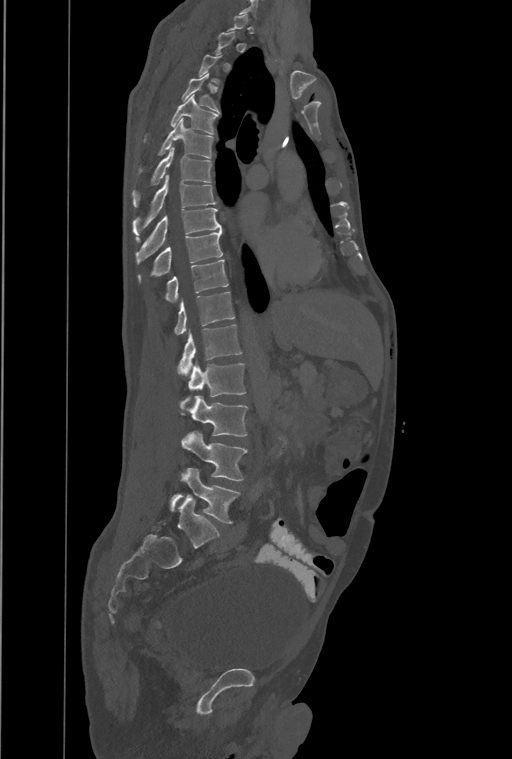
Spine CT; sagittal view; bone window; the image spans 461 mm across; 512x759 px
In the table, x1 and y1 are a box's top-left corner and x2 and y2 its bottom-right corner, in pixels.
Each vertebra is boxed only on the slices from the first to the last where its cross-section reaches a third of its largest, so a slice outside that range leaves it unboxed.
Labels in this scan begin with T1 at the top and end with L4 at the bottom.
These labels give the spine a thirteenth thoracic vertebra: T13 sits between T12 and L1.
| vertebra | x1 | y1 | x2 | y2 |
|---|---|---|---|---|
| L4 | 170 | 468 | 239 | 524 |
| L3 | 182 | 431 | 247 | 480 |
| L2 | 182 | 396 | 247 | 436 |
| L1 | 187 | 361 | 245 | 399 |
| T13 | 178 | 325 | 242 | 376 |
| T12 | 174 | 291 | 234 | 335 |
| T11 | 165 | 259 | 228 | 301 |
| T10 | 138 | 230 | 223 | 281 |
| T9 | 136 | 208 | 222 | 263 |
| T8 | 133 | 175 | 216 | 239 |
| T7 | 133 | 147 | 211 | 207 |
| T6 | 140 | 118 | 213 | 171 |
| T5 | 144 | 95 | 218 | 140 |
| T4 | 182 | 72 | 218 | 111 |